CT spine — sagittal view — bone-window reconstruction
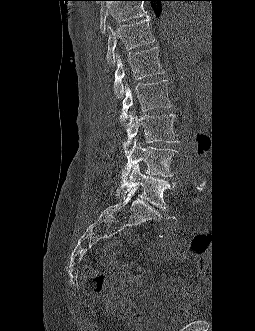 Each box is [x1, y1, x2, y2] in pixels: top-left corner, then bottom-right corner.
A vertebra cut off by the top edge of the scan is not labeled and has no box.
{"vertebrae":{"T12":[106,18,155,65],"L1":[113,46,165,97],"L2":[120,80,172,125],"L3":[122,110,178,154],"L4":[121,139,178,183],"L5":[116,163,175,210]}}